CT, spine · sagittal view · 140 mm across the image · a portion of the image is blanked out (constant pixel value)
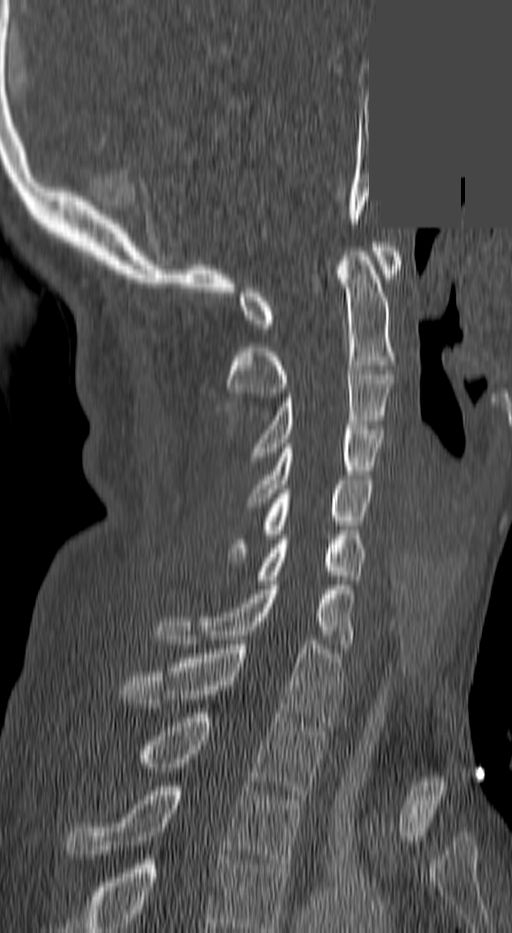

Boxes below are [x1, y1, x2, y2] in pixels.
Labels in this scan begin with C1 at the top and end with T3 at the bottom.
{"vertebrae":{"C1":[239,242,399,328],"C2":[228,247,395,397],"C3":[256,370,392,456],"C4":[248,425,384,502],"C5":[231,480,373,557],"C6":[254,539,366,584],"C7":[159,585,353,648],"T1":[122,640,340,726],"T2":[140,713,323,794],"T3":[67,786,304,868]}}